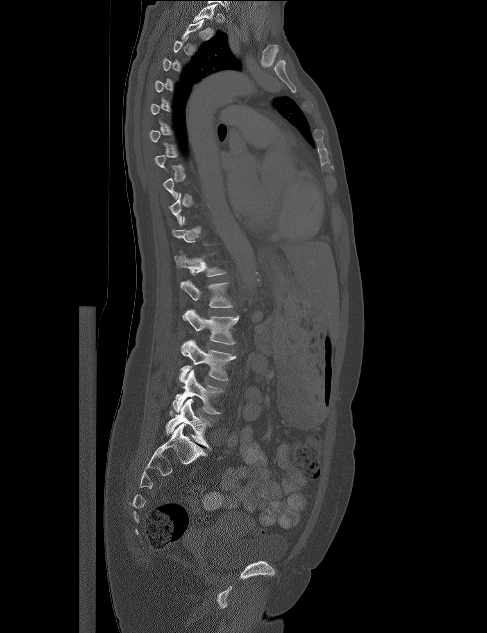 CT — sagittal reformat — 487x633 px — the image is 487 mm wide
Boxes: x1:y1:x2:y2 in pixels.
A vertebra is boxed only from the first to the last slice where its cross-section is at least a third of its largest; slices outside that range leave it without a box.
T1: 193:4:217:22
T12: 174:250:227:276
L1: 180:280:234:307
L2: 182:309:239:344
L3: 179:339:236:382
L4: 172:369:224:414
L5: 166:398:211:449